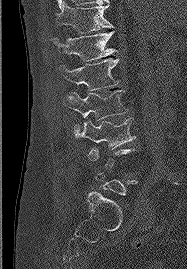 Spine CT. sagittal view. W/L 1800/400 HU. 187x269 px

Boxes: x1:y1:x2:y2 in pixels.
Each vertebra is boxed only on the slices from the first to the last where its cross-section reaches a third of its largest, so a slice outside that range leaves it unboxed.
L3: 75:118:135:149
L2: 63:90:127:137
L1: 59:58:119:90
T12: 53:31:117:61
T11: 56:2:113:33